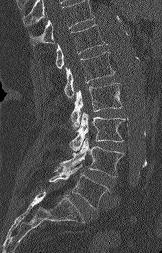
CT spine; sagittal view. In the table, x1 and y1 are a box's top-left corner and x2 and y2 its bottom-right corner, in pixels.
A vertebra cut off by the top edge of the scan is not labeled and has no box.
| vertebra | x1 | y1 | x2 | y2 |
|---|---|---|---|---|
| T12 | 55 | 24 | 107 | 68 |
| L1 | 64 | 52 | 114 | 98 |
| L2 | 70 | 83 | 122 | 128 |
| L3 | 69 | 112 | 125 | 150 |
| L4 | 59 | 138 | 124 | 177 |
| L5 | 49 | 164 | 108 | 209 |